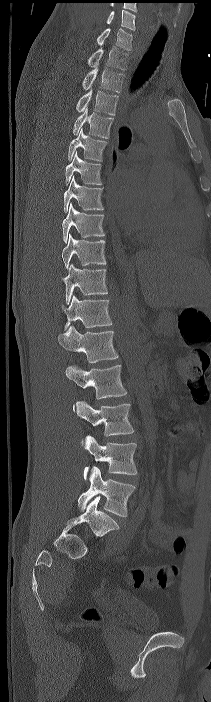

CT; sagittal reformat; 211x702 px
Each box given as x1,y1,x2,y2.
The highest labeled vertebra in this scan is C7; the lowest is L4.
Vertebra bounding boxes:
- C7: x1=96, y1=28, x2=132, y2=50
- T1: x1=87, y1=46, x2=128, y2=70
- T2: x1=82, y1=66, x2=124, y2=92
- T3: x1=76, y1=87, x2=118, y2=115
- T4: x1=72, y1=107, x2=113, y2=138
- T5: x1=68, y1=127, x2=107, y2=162
- T6: x1=65, y1=151, x2=102, y2=185
- T7: x1=64, y1=176, x2=103, y2=212
- T8: x1=62, y1=203, x2=105, y2=242
- T9: x1=62, y1=234, x2=106, y2=269
- T10: x1=63, y1=263, x2=107, y2=304
- T11: x1=61, y1=295, x2=112, y2=330
- T12: x1=58, y1=325, x2=118, y2=362
- L1: x1=65, y1=365, x2=127, y2=412
- L2: x1=76, y1=401, x2=134, y2=445
- L3: x1=83, y1=435, x2=137, y2=479
- L4: x1=78, y1=466, x2=135, y2=516